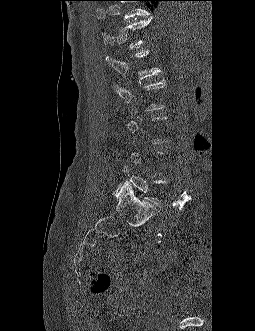
CT. sagittal view. the image spans 255 mm across
Box edges are left/top/right/bottom in pixels.
Each vertebra is boxed only on the slices from the first to the last where its cross-section reaches a third of its largest, so a slice outside that range leaves it unboxed.
No box is given to a vertebra that the top edge of the scan cuts off.
Vertebra bounding boxes:
- L1: left=106, top=50, right=161, bottom=79
- T12: left=102, top=17, right=153, bottom=48